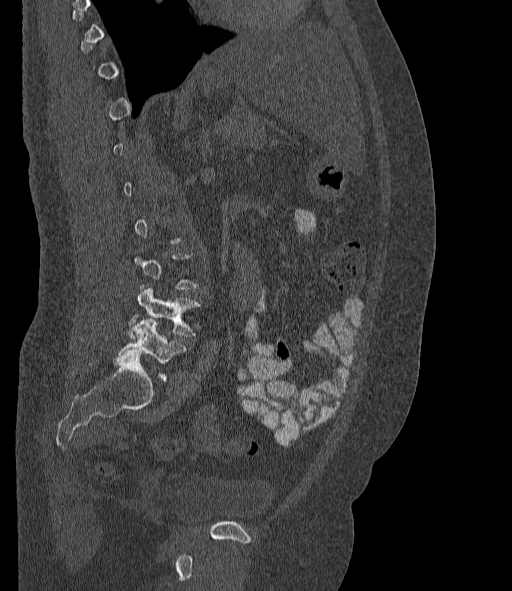

CT · sagittal view · 377 mm wide · Bone window (WL 400, WW 1800)
Each vertebra is boxed only on the slices from the first to the last where its cross-section reaches a third of its largest, so a slice outside that range leaves it unboxed.
The labels name a sixth lumbar vertebra for this spine: L6, after L5.
<vertebrae><v name="L5" x1="127" y1="285" x2="201" y2="336"/><v name="L6" x1="119" y1="319" x2="186" y2="379"/></vertebrae>